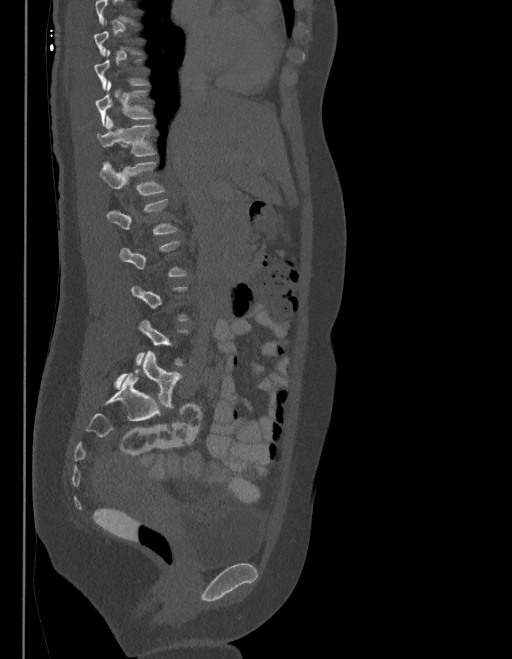

CT spine; sagittal view; 403 mm image width; bone window; 512x659 px

Boxes are (x1, y1, x2, y2) in pixels.
Each vertebra is boxed only on the slices from the first to the last where its cross-section reaches a third of its largest, so a slice outside that range leaves it unboxed.
In these labels the spine has an L6, a sixth lumbar vertebra below L5.
T11: (95, 81, 153, 126)
T12: (98, 117, 155, 156)
L1: (100, 162, 164, 196)
L2: (107, 199, 177, 235)
L6: (114, 351, 182, 407)